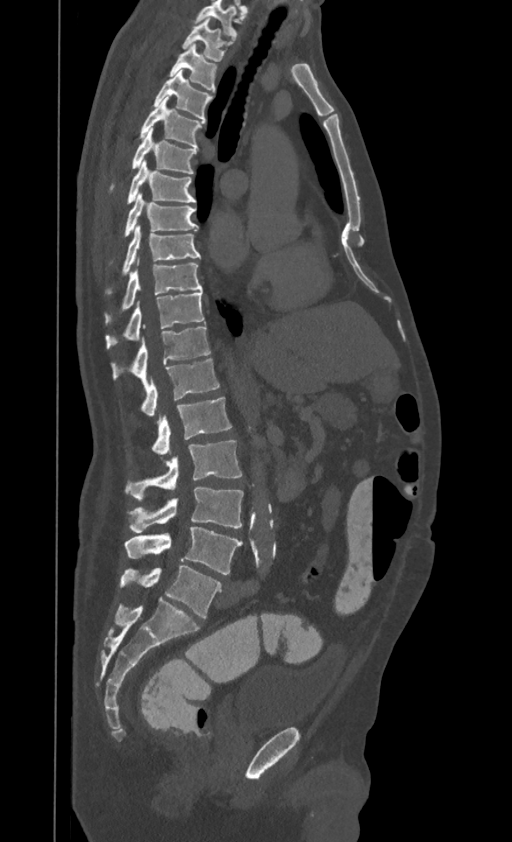
CT spine; sagittal view; Bone window (WL 400, WW 1800); 512x842 px
Box edges are left/top/right/bottom in pixels.
Labels in this scan begin with T1 at the top and end with L4 at the bottom.
| vertebra | x1 | y1 | x2 | y2 |
|---|---|---|---|---|
| T1 | 183 | 17 | 228 | 61 |
| T2 | 170 | 44 | 217 | 91 |
| T3 | 153 | 70 | 211 | 121 |
| T4 | 140 | 97 | 202 | 148 |
| T5 | 111 | 127 | 196 | 188 |
| T6 | 127 | 161 | 196 | 203 |
| T7 | 124 | 192 | 197 | 236 |
| T8 | 107 | 225 | 200 | 292 |
| T9 | 105 | 259 | 202 | 323 |
| T10 | 106 | 292 | 204 | 349 |
| T11 | 111 | 324 | 210 | 385 |
| T12 | 141 | 359 | 219 | 417 |
| L1 | 152 | 397 | 231 | 454 |
| L2 | 126 | 441 | 241 | 499 |
| L3 | 129 | 488 | 243 | 533 |
| L4 | 124 | 527 | 243 | 574 |